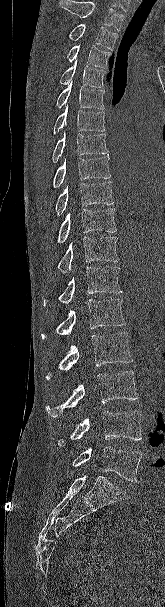
CT spine — sagittal view
No box is given to a vertebra that the top edge of the scan cuts off.
<vertebrae><v name="L5" x1="72" y1="446" x2="141" y2="482"/><v name="L4" x1="57" y1="411" x2="141" y2="446"/><v name="L3" x1="45" y1="371" x2="138" y2="417"/><v name="L2" x1="46" y1="332" x2="133" y2="379"/><v name="L1" x1="41" y1="299" x2="125" y2="338"/><v name="T12" x1="43" y1="266" x2="122" y2="306"/><v name="T11" x1="42" y1="236" x2="119" y2="272"/><v name="T10" x1="57" y1="208" x2="117" y2="243"/><v name="T9" x1="55" y1="181" x2="113" y2="215"/><v name="T8" x1="53" y1="154" x2="110" y2="187"/><v name="T7" x1="52" y1="131" x2="108" y2="162"/><v name="T6" x1="53" y1="104" x2="105" y2="133"/><v name="T5" x1="56" y1="80" x2="104" y2="109"/><v name="T4" x1="60" y1="60" x2="106" y2="87"/><v name="T3" x1="67" y1="44" x2="111" y2="68"/><v name="T2" x1="68" y1="24" x2="117" y2="50"/></vertebrae>